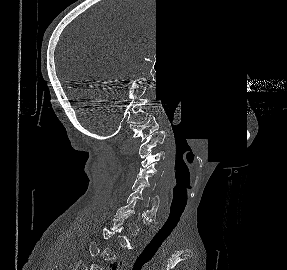 CT, spine · sagittal view · bone window · a portion of the image is blanked out (constant pixel value)

Bounding boxes as [x1, y1, x2, y2] in pixel coordinates. A vertebra is boxed only from the first to the last slice where its cross-section is at least a third of its largest; slices outside that range leave it without a box. Vertebrae labeled: C1 at [130, 115, 158, 141], C2 at [138, 131, 166, 158], C3 at [140, 151, 164, 169], C4 at [137, 163, 163, 176], C5 at [132, 175, 159, 204], C6 at [126, 187, 158, 220], C7 at [114, 199, 157, 223].